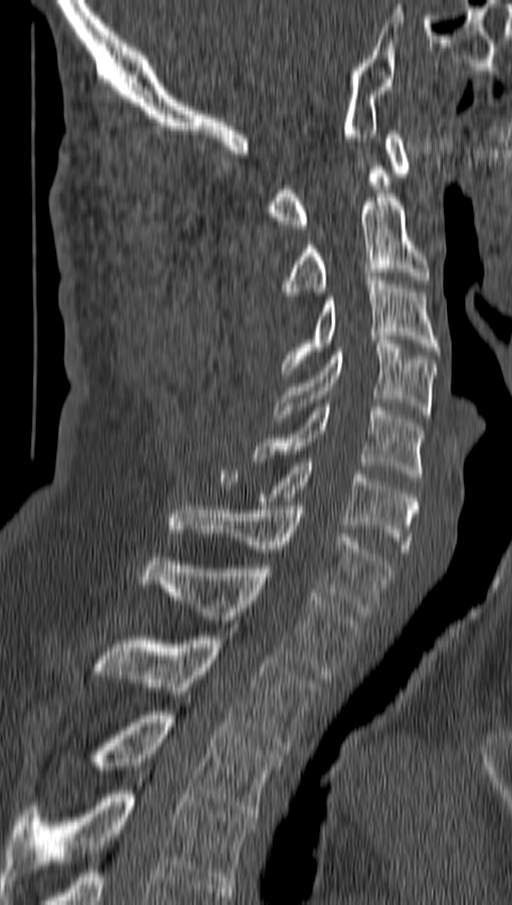
CT, spine — sagittal view — bone-window reconstruction — 512x905 px
Boxes are (x1, y1, x2, y2) in pixels.
C1: (267, 130, 412, 228)
C2: (279, 194, 430, 295)
C3: (282, 277, 439, 374)
C4: (273, 340, 436, 418)
C5: (254, 403, 424, 481)
C6: (218, 458, 417, 556)
C7: (169, 506, 392, 615)
T1: (140, 557, 357, 679)
T2: (93, 636, 319, 750)
T3: (96, 711, 281, 817)
T4: (4, 778, 253, 888)